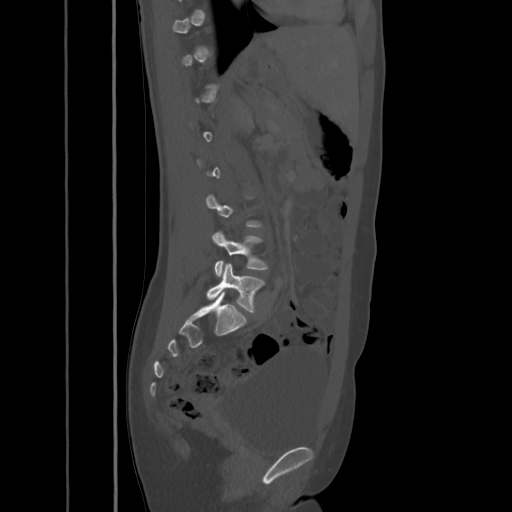
CT · sagittal view · 512x512 px
Each vertebra maps to its box as [x1, y1, x2, y2], the pixel coordinates of its top-left and bottom-right corners.
A vertebra gets a box only on the slices from the first to the last where its cross-section is at least a third of its largest; on a slice outside that range it gets none.
{"vertebrae":{"L4":[212,230,268,276],"L5":[206,264,265,312]}}